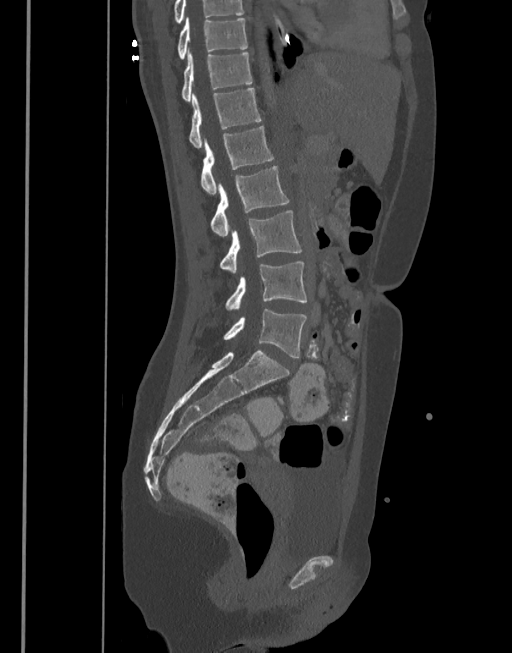

Spine CT — sagittal view

Coordinates as <box>x1,y1,x2,y2</box>. Labels in this scan begin with T10 at the top and end with L5 at the bottom. Vertebrae labeled: T10 at <box>178,17,247,59</box>, T11 at <box>182,48,251,102</box>, T12 at <box>189,88,261,148</box>, L1 at <box>201,126,273,193</box>, L2 at <box>210,166,289,236</box>, L3 at <box>220,210,302,273</box>, L4 at <box>225,262,306,309</box>, L5 at <box>224,309,307,357</box>.